CT spine. sagittal view. 9 vertebrae labeled in this scan. 392 mm across the image
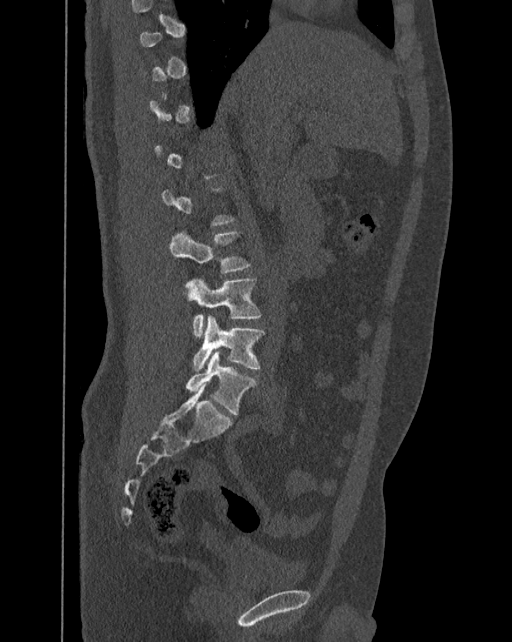
Boxes below are [x1, y1, x2, y2] in pixels.
A vertebra is boxed only from the first to the last slice where its cross-section is at least a third of its largest; slices outside that range leave it without a box.
These labels give the spine a sixth lumbar vertebra, L6, below L5.
{"vertebrae":{"L3":[170,230,251,273],"L4":[185,277,261,338],"L5":[192,315,265,370],"L6":[185,351,256,415]}}